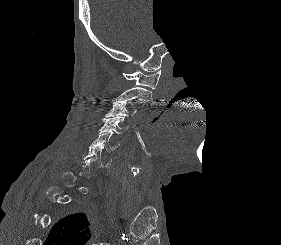 Computed tomography of the spine; sagittal view; Bone window (WL 400, WW 1800); 281x245 px; some of the image was removed or blocked out with constant pixels. Box edges are left/top/right/bottom in pixels.
A vertebra gets a box only on the slices from the first to the last where its cross-section is at least a third of its largest; on a slice outside that range it gets none.
Vertebra bounding boxes:
- C6: left=83, top=145, right=111, bottom=167
- C5: left=89, top=132, right=120, bottom=152
- C4: left=99, top=116, right=128, bottom=133
- C3: left=105, top=101, right=137, bottom=117
- C2: left=113, top=87, right=151, bottom=104
- C1: left=122, top=69, right=160, bottom=89